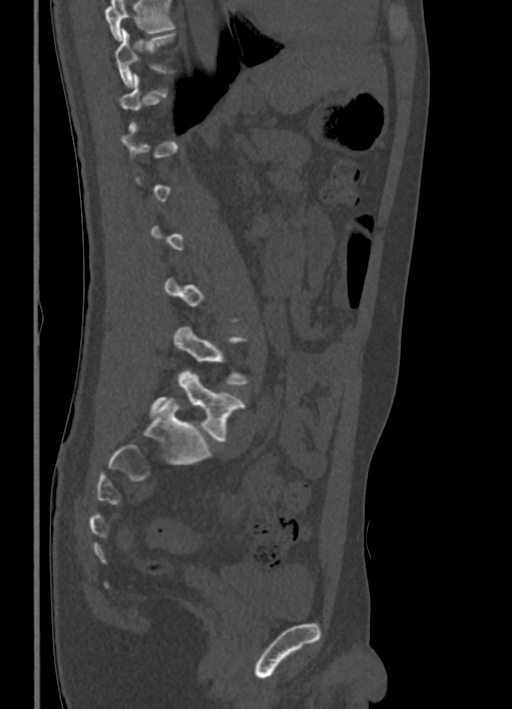
CT. sagittal view. bone window

Boxes: x1:y1:x2:y2 in pixels. Not every vertebra on this slice has a box: a vertebra is boxed only from the first to the last slice where its cross-section is at least a third of its largest, and this slice is outside that range for at least one of them. Where the top of the scan cuts through a vertebra, that vertebra gets no label or box. The labeled vertebrae in this slice are: T10 at 114:29:174:87, L5 at 149:371:244:440.